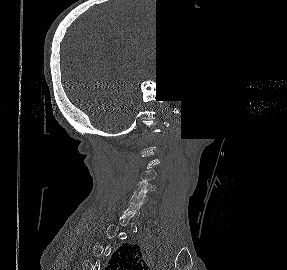
CT, spine · sagittal view · 287x270 px · a region is blanked to uniform black, ending in a straight edge

Not every vertebra on this slice has a box: a vertebra is boxed only from the first to the last slice where its cross-section is at least a third of its largest, and this slice is outside that range for at least one of them.
<vertebrae><v name="C6" x1="130" y1="189" x2="147" y2="205"/><v name="C5" x1="134" y1="180" x2="155" y2="193"/><v name="C4" x1="140" y1="168" x2="156" y2="180"/></vertebrae>